Computed tomography of the spine. sagittal reformat
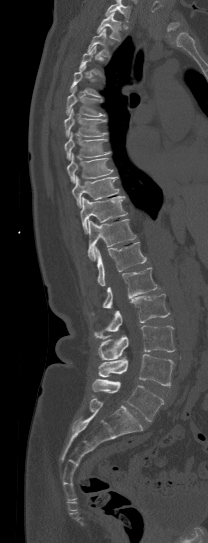 Bounding boxes as [x1, y1, x2, y2] in pixel coordinates. Each vertebra is boxed only on the slices from the first to the last where its cross-section reaches a third of its largest, so a slice outside that range leaves it unboxed. Where the top of the scan cuts through a vertebra, that vertebra gets no label or box. The labeled vertebrae in this slice are: T1 at [97, 11, 121, 42], T2 at [88, 28, 109, 56], T4 at [70, 65, 100, 97], T5 at [66, 86, 105, 116], T6 at [64, 108, 107, 136], T7 at [64, 132, 110, 159], T8 at [67, 152, 112, 182], T9 at [72, 176, 119, 207], T10 at [80, 196, 126, 233], T11 at [88, 219, 136, 261], T12 at [94, 242, 146, 286], L1 at [102, 267, 157, 308], L2 at [94, 294, 169, 338], L3 at [98, 325, 174, 360], L4 at [98, 354, 175, 387], L5 at [92, 379, 163, 421].